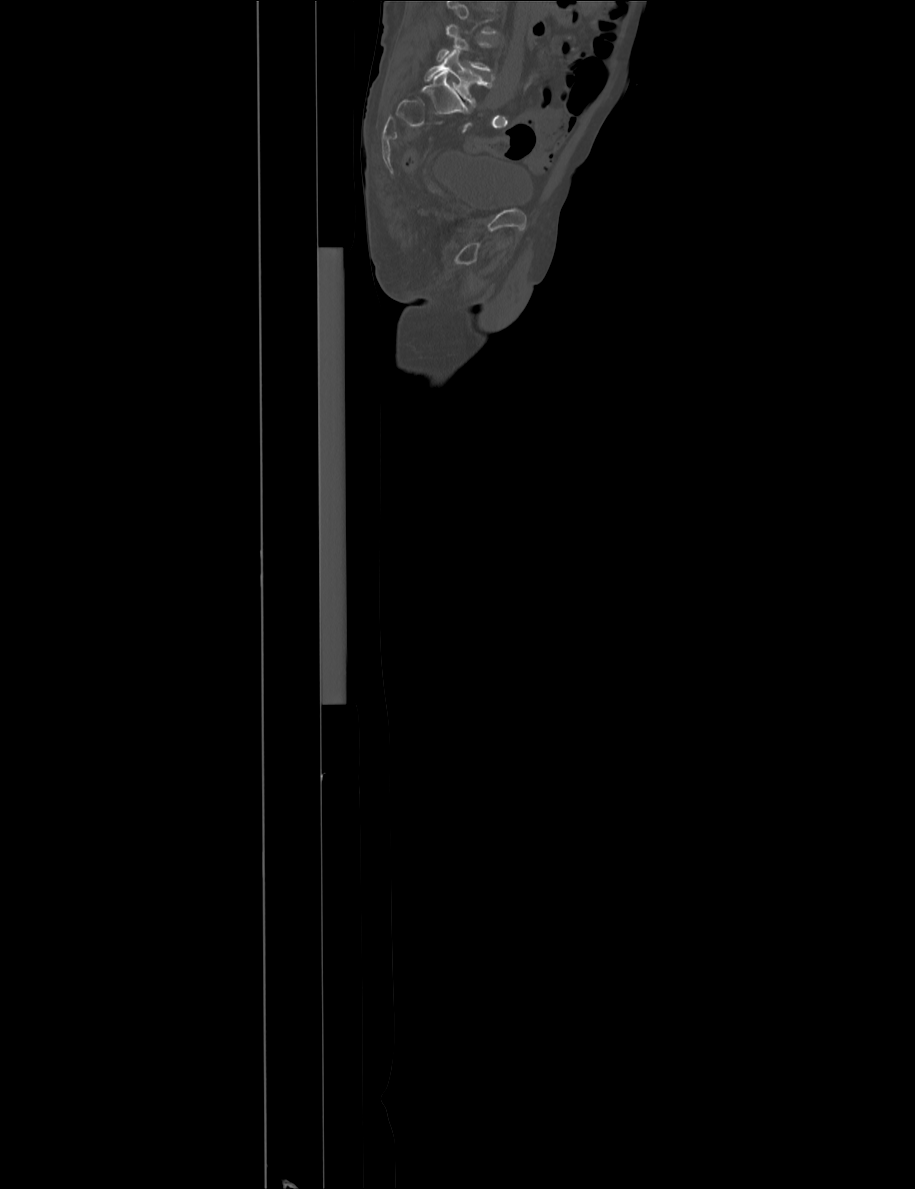 CT, spine · sagittal view · 915x1189 px · image width 915 mm. Boxes: x1 y1 x2 y2 (pixel coords, space-separated).
No box is given to a vertebra that the top edge of the scan cuts off.
Vertebra bounding boxes:
- L4: 436 24 491 72
- L5: 424 49 493 105